CT spine · sagittal plane, index 244 · scan covers 8 annotated vertebrae
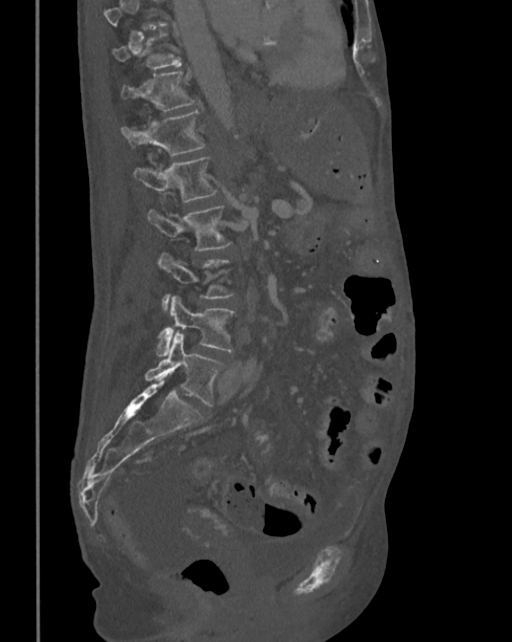 Boxes: x1:y1:x2:y2 in pixels. No box is given to a vertebra that the top edge of the scan cuts off. Vertebrae labeled: T10 at 112:31:181:72, T11 at 120:71:198:110, T12 at 120:111:205:155, L1 at 133:156:219:201, L2 at 148:205:232:251, L3 at 158:252:234:311, L4 at 157:296:237:356, L5 at 145:333:228:407.